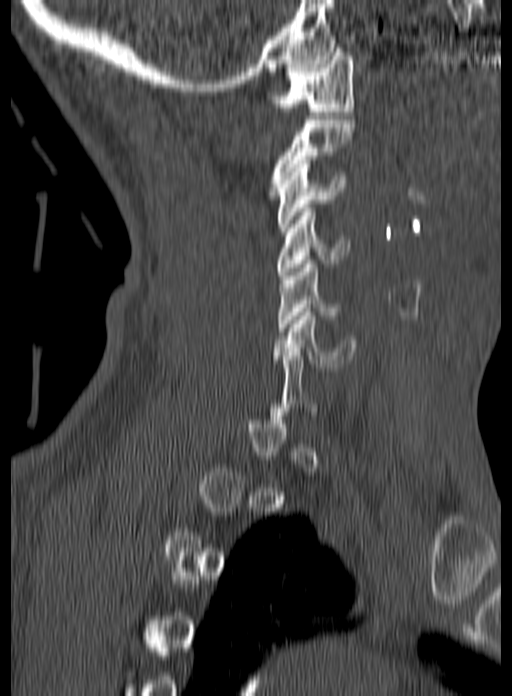 Spine computed tomography · sagittal view
Not every vertebra on this slice has a box: a vertebra is boxed only from the first to the last slice where its cross-section is at least a third of its largest, and this slice is outside that range for at least one of them.
<vertebrae><v name="C1" x1="267" y1="48" x2="354" y2="111"/><v name="C2" x1="269" y1="116" x2="355" y2="195"/><v name="C3" x1="276" y1="160" x2="346" y2="231"/><v name="C4" x1="276" y1="208" x2="350" y2="279"/><v name="C5" x1="277" y1="260" x2="342" y2="331"/><v name="C6" x1="273" y1="308" x2="356" y2="367"/></vertebrae>